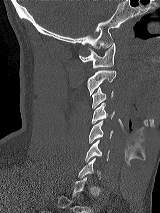

CT, spine; sagittal reformat. Bounding boxes as [x1, y1, x2, y2] in pixel coordinates.
Not every vertebra on this slice has a box: a vertebra is boxed only from the first to the last slice where its cross-section is at least a third of its largest, and this slice is outside that range for at least one of them.
Vertebra bounding boxes:
- C1: [78, 43, 115, 67]
- C2: [87, 70, 116, 95]
- C3: [92, 87, 113, 108]
- C4: [91, 103, 114, 123]
- C5: [89, 121, 113, 143]
- C6: [85, 140, 109, 161]
- C7: [78, 158, 101, 179]